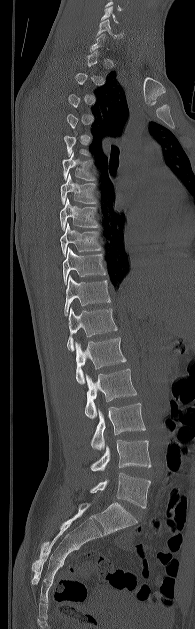

Computed tomography of the spine · sagittal reformat · 195x629 px. Each row gives a vertebra's box as x1, y1, x2, y2 in pixels: top-left corner, then bottom-right corner.
A vertebra is boxed only from the first to the last slice where its cross-section is at least a third of its largest; slices outside that range leave it without a box.
| vertebra | x1 | y1 | x2 | y2 |
|---|---|---|---|---|
| C5 | 101 | 6 | 119 | 23 |
| C6 | 97 | 19 | 121 | 38 |
| T6 | 62 | 152 | 95 | 180 |
| T7 | 60 | 173 | 97 | 203 |
| T8 | 59 | 198 | 99 | 229 |
| T9 | 60 | 222 | 101 | 255 |
| T10 | 63 | 247 | 105 | 284 |
| T11 | 64 | 275 | 110 | 315 |
| T12 | 67 | 308 | 117 | 351 |
| L1 | 75 | 337 | 126 | 384 |
| L2 | 84 | 368 | 136 | 418 |
| L3 | 91 | 403 | 145 | 450 |
| L4 | 90 | 439 | 151 | 471 |
| L5 | 90 | 472 | 150 | 508 |